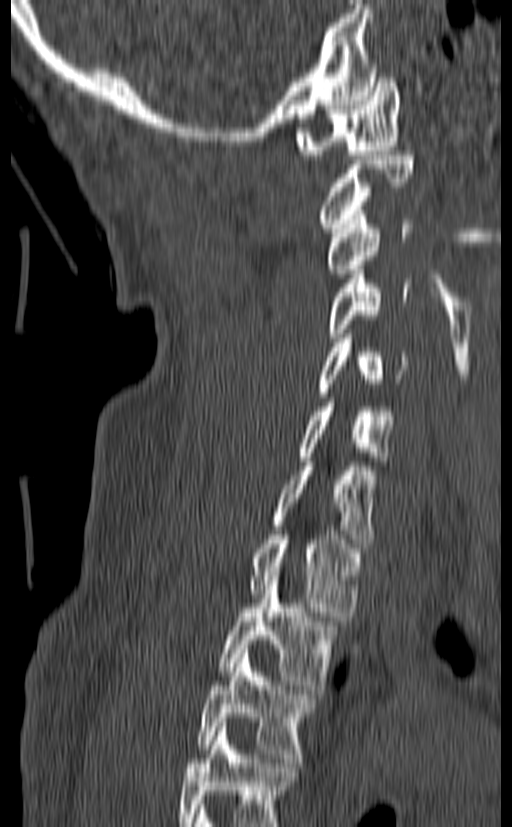 CT spine — sagittal reformat — bone window. Boxes: x1:y1:x2:y2 in pixels.
The highest labeled vertebra in this scan is C1; the lowest is T3.
Vertebra bounding boxes:
- T3: 196:649:315:762
- T2: 217:571:339:689
- T1: 250:530:361:616
- C7: 272:457:377:548
- C6: 298:398:395:461
- C5: 319:334:409:397
- C4: 327:270:411:342
- C3: 327:210:412:273
- C2: 320:151:414:232
- C1: 296:69:400:159